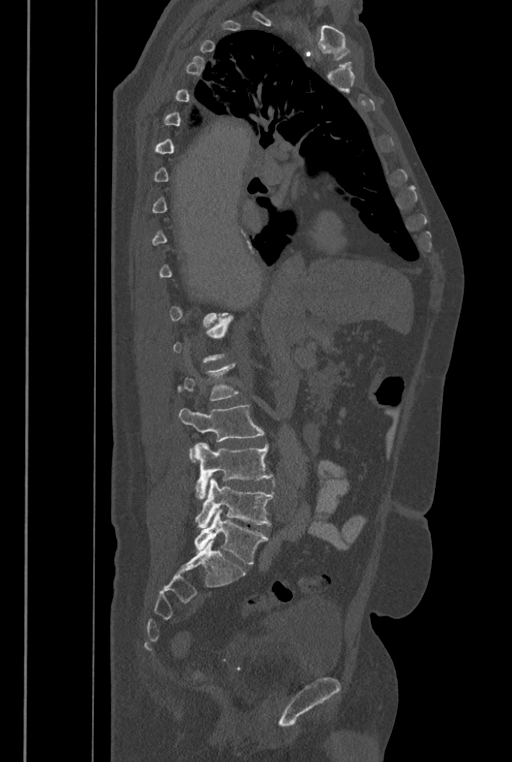 Computed tomography of the spine · sagittal view

Each vertebra is boxed only on the slices from the first to the last where its cross-section reaches a third of its largest, so a slice outside that range leaves it unboxed.
In these labels the spine has an L6, a sixth lumbar vertebra below L5.
<vertebrae><v name="L3" x1="179" y1="404" x2="264" y2="461"/><v name="L4" x1="194" y1="442" x2="273" y2="499"/><v name="L5" x1="194" y1="478" x2="273" y2="527"/><v name="L6" x1="194" y1="509" x2="268" y2="564"/></vertebrae>